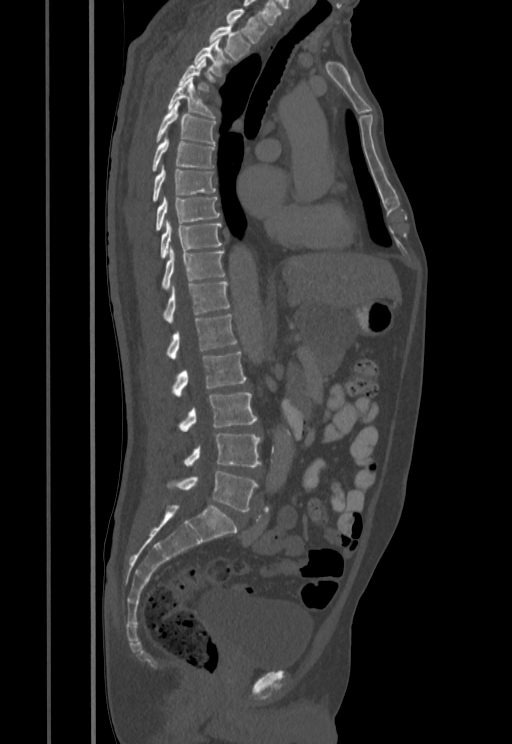
CT, spine — sagittal view. In the table, x1 and y1 are a box's top-left corner and x2 and y2 its bottom-right corner, in pixels.
Not every vertebra on this slice has a box: a vertebra is boxed only from the first to the last slice where its cross-section is at least a third of its largest, and this slice is outside that range for at least one of them.
| vertebra | x1 | y1 | x2 | y2 |
|---|---|---|---|---|
| L5 | 171 | 471 | 258 | 511 |
| L4 | 184 | 433 | 261 | 467 |
| L3 | 180 | 392 | 257 | 431 |
| L2 | 173 | 352 | 246 | 397 |
| L1 | 168 | 314 | 236 | 359 |
| T12 | 163 | 281 | 230 | 323 |
| T11 | 162 | 246 | 224 | 290 |
| T10 | 161 | 219 | 222 | 258 |
| T9 | 156 | 196 | 219 | 230 |
| T8 | 153 | 163 | 215 | 200 |
| T7 | 152 | 134 | 214 | 171 |
| T6 | 156 | 101 | 215 | 144 |
| T5 | 168 | 77 | 215 | 119 |
| T3 | 193 | 38 | 228 | 75 |
| T2 | 209 | 24 | 250 | 59 |
| T1 | 226 | 10 | 267 | 43 |